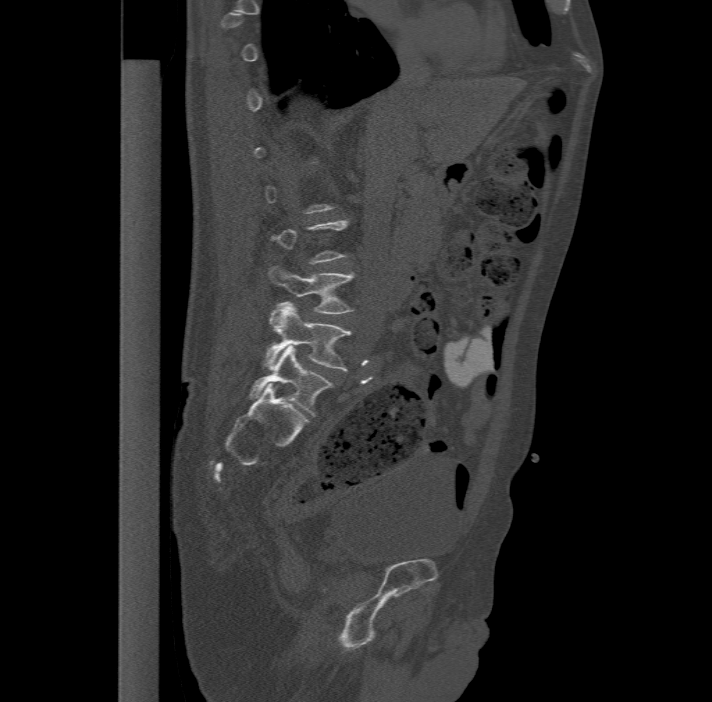
Spine CT; sagittal view; 712x702 px
A vertebra gets a box only on the slices from the first to the last where its cross-section is at least a third of its largest; on a slice outside that range it gets none.
In these labels the spine has an L6, a sixth lumbar vertebra below L5.
<vertebrae><v name="L4" x1="268" y1="265" x2="352" y2="312"/><v name="L5" x1="263" y1="301" x2="351" y2="370"/><v name="L6" x1="250" y1="345" x2="331" y2="415"/></vertebrae>